CT, spine. sagittal plane, index 86. 230 mm across the image. bone window
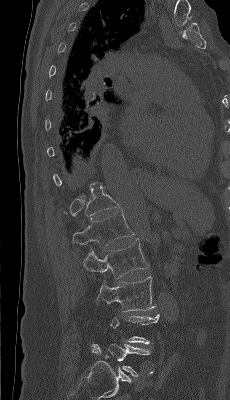 In the table, x1 and y1 are a box's top-left corner and x2 and y2 its bottom-right corner, in pixels.
Not every vertebra on this slice has a box: a vertebra is boxed only from the first to the last slice where its cross-section is at least a third of its largest, and this slice is outside that range for at least one of them.
| vertebra | x1 | y1 | x2 | y2 |
|---|---|---|---|---|
| L5 | 91 | 344 | 150 | 376 |
| L3 | 96 | 276 | 155 | 311 |
| L2 | 81 | 239 | 149 | 278 |
| L1 | 72 | 211 | 134 | 248 |
| T12 | 62 | 184 | 120 | 217 |